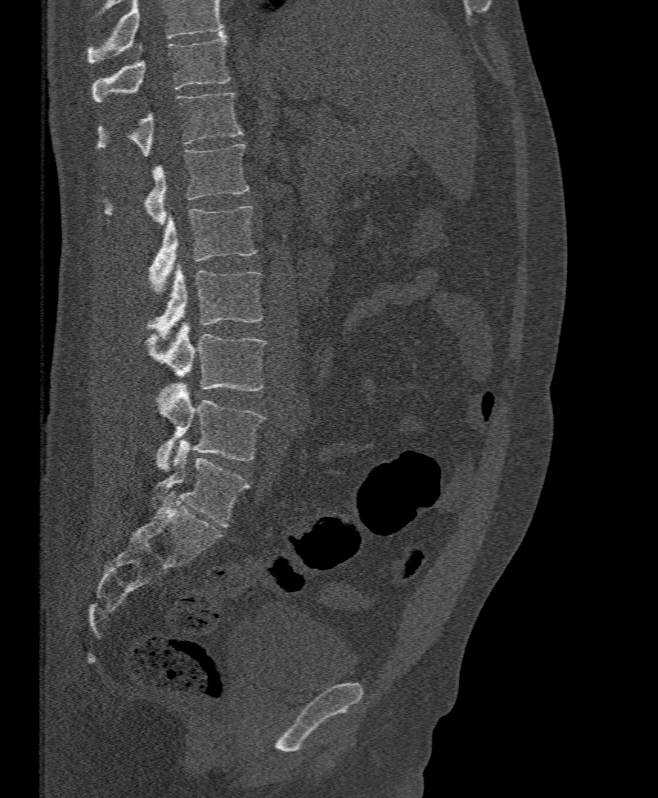
CT · sagittal view

Each box is [x1, y1, x2, y2] in pixels: top-left corner, then bottom-right corner.
Vertebrae that run past the top of the scan are left unlabeled.
{"vertebrae":{"T11":[91,32,230,102],"T12":[95,92,242,156],"L1":[105,143,248,224],"L2":[148,205,257,296],"L3":[148,265,263,339],"L4":[145,322,268,391],"L5":[157,383,265,471]}}